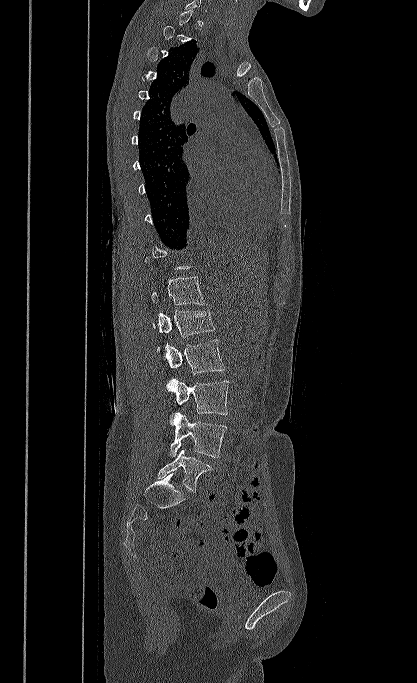
CT spine. sagittal view. Bone window (WL 400, WW 1800)
Each box is [x1, y1, x2, y2] in pixels: top-left corner, then bottom-right corner.
Not every vertebra on this slice has a box: a vertebra is boxed only from the first to the last slice where its cross-section is at least a third of its largest, and this slice is outside that range for at least one of them.
{"vertebrae":{"T12":[151,276,204,305],"L1":[153,309,215,350],"L2":[164,339,225,374],"L3":[167,379,228,414],"L4":[169,412,227,458],"L5":[157,449,213,492]}}